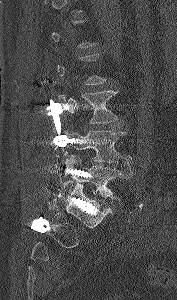

Computed tomography of the spine — sagittal view — 177 mm wide

A vertebra is boxed only from the first to the last slice where its cross-section is at least a third of its largest; slices outside that range leave it without a box.
<vertebrae><v name="L3" x1="61" y1="90" x2="118" y2="123"/><v name="L4" x1="63" y1="126" x2="132" y2="171"/><v name="L5" x1="62" y1="155" x2="131" y2="200"/></vertebrae>